CT, spine — sagittal reformat — Bone window (WL 400, WW 1800) — 658x798 px
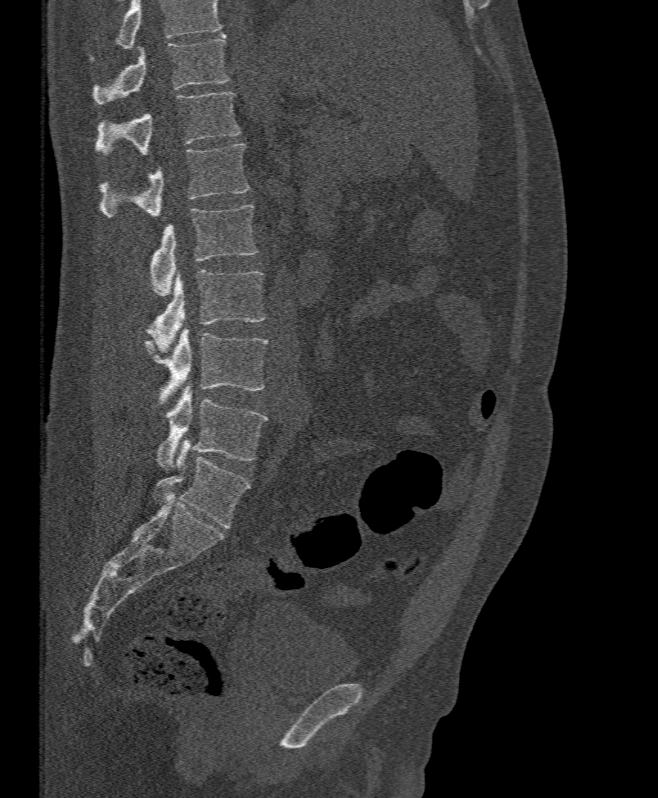

Columns x1, y1, x2, y2 give each box's top-left and bottom-right pixels.
No box is given to a vertebra that the top edge of the scan cuts off.
| vertebra | x1 | y1 | x2 | y2 |
|---|---|---|---|---|
| T11 | 93 | 34 | 230 | 104 |
| T12 | 95 | 92 | 241 | 156 |
| L1 | 100 | 143 | 248 | 219 |
| L2 | 150 | 205 | 257 | 296 |
| L3 | 147 | 270 | 264 | 354 |
| L4 | 145 | 327 | 268 | 404 |
| L5 | 157 | 385 | 268 | 469 |